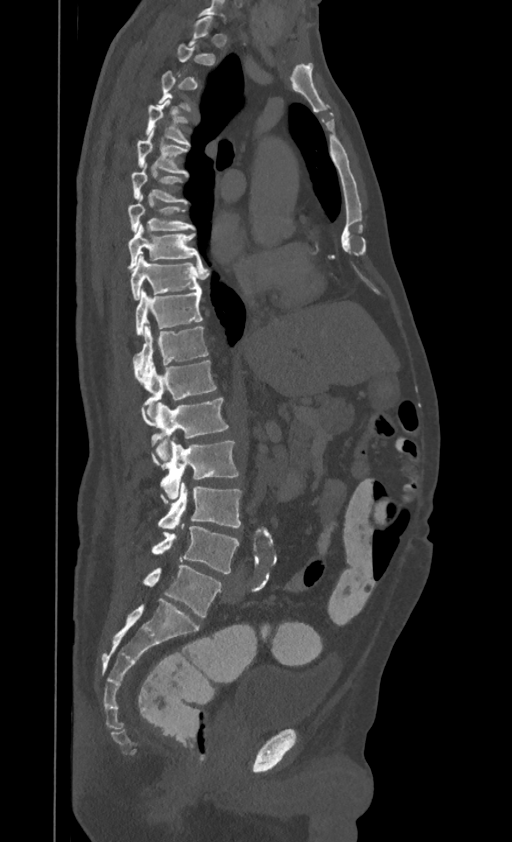
CT, spine · sagittal view · W/L 1800/400 HU · 512x842 px · 395 mm image width

A vertebra is boxed only from the first to the last slice where its cross-section is at least a third of its largest; slices outside that range leave it without a box.
This scan's labels start at T1 at the top and end at L4 at the bottom.
<vertebrae><v name="T4" x1="146" y1="97" x2="189" y2="145"/><v name="T5" x1="137" y1="127" x2="187" y2="174"/><v name="T6" x1="131" y1="163" x2="187" y2="202"/><v name="T7" x1="128" y1="195" x2="195" y2="232"/><v name="T8" x1="128" y1="224" x2="200" y2="270"/><v name="T9" x1="131" y1="254" x2="204" y2="300"/><v name="T10" x1="136" y1="289" x2="202" y2="335"/><v name="T11" x1="133" y1="324" x2="208" y2="380"/><v name="T12" x1="136" y1="360" x2="215" y2="415"/><v name="L1" x1="142" y1="398" x2="228" y2="460"/><v name="L2" x1="161" y1="440" x2="239" y2="499"/><v name="L3" x1="158" y1="482" x2="241" y2="529"/><v name="L4" x1="152" y1="526" x2="239" y2="573"/></vertebrae>